Spine computed tomography · sagittal view · bone-window reconstruction · 230 mm across the image
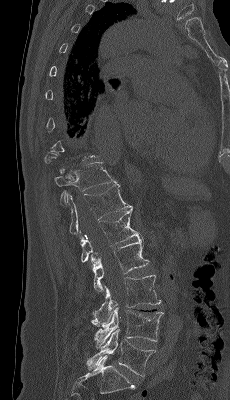
Boxes are (x1, y1, x2, y2) in pixels.
Not every vertebra on this slice has a box: a vertebra is boxed only from the first to the last slice where its cross-section is at least a third of its largest, and this slice is outside that range for at least one of them.
T11: (54, 161, 117, 203)
T12: (66, 183, 133, 237)
L1: (81, 210, 140, 262)
L2: (91, 238, 149, 295)
L3: (91, 275, 161, 327)
L4: (94, 307, 163, 349)
L5: (86, 329, 156, 376)